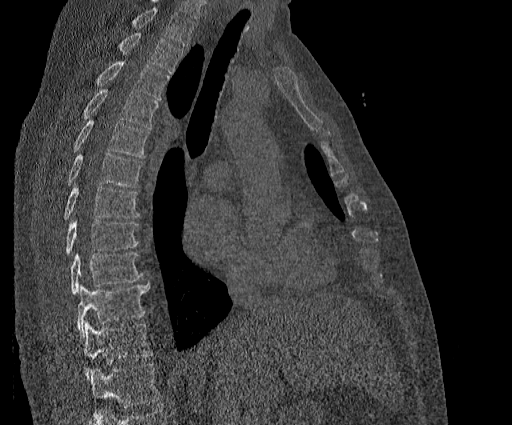

CT — sagittal view

Columns x1, y1, x2, y2 give each box's top-left and bottom-right pixels.
No box is given to a vertebra that the top edge of the scan cuts off.
Labels in this scan begin with T2 at the top and end with T11 at the bottom.
| vertebra | x1 | y1 | x2 | y2 |
|---|---|---|---|---|
| T11 | 83 | 321 | 152 | 379 |
| T10 | 77 | 283 | 149 | 334 |
| T9 | 70 | 252 | 141 | 294 |
| T8 | 65 | 219 | 138 | 254 |
| T7 | 64 | 185 | 139 | 219 |
| T6 | 67 | 153 | 143 | 187 |
| T5 | 71 | 120 | 148 | 158 |
| T4 | 84 | 89 | 157 | 128 |
| T3 | 97 | 61 | 169 | 100 |
| T2 | 118 | 33 | 183 | 74 |